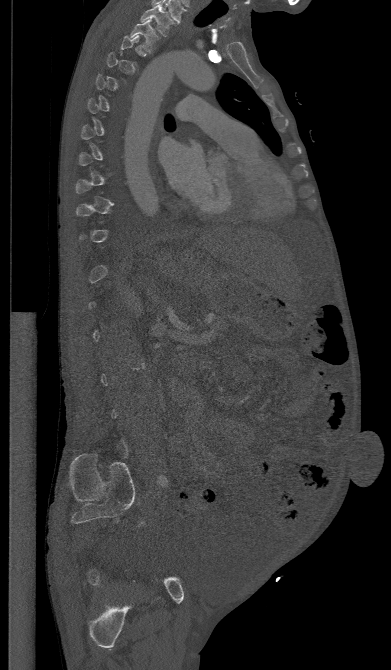
Computed tomography of the spine — sagittal view — image width 391 mm
Box edges are left/top/right/bottom in pixels.
A vertebra is boxed only from the first to the last slice where its cross-section is at least a third of its largest; slices outside that range leave it without a box.
Vertebra bounding boxes:
- T1: left=141, top=5, right=175, bottom=37
- T2: left=130, top=18, right=160, bottom=51